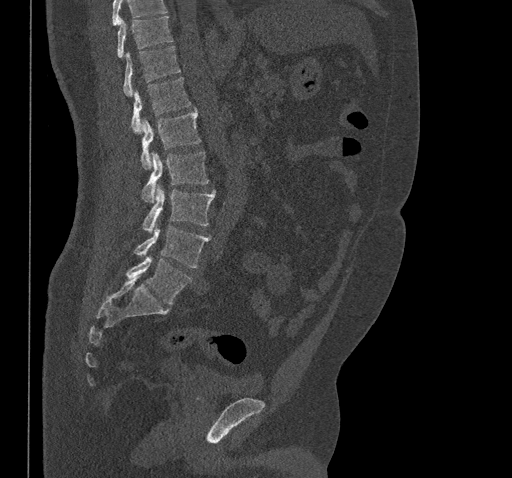

CT; sagittal view

Boxes below are [x1, y1, x2, y2] in pixels.
Vertebrae that run past the top of the scan are left unlabeled.
{"vertebrae":{"T10":[117,16,173,57],"T11":[123,46,181,96],"T12":[130,77,191,133],"L1":[141,108,200,168],"L2":[142,151,208,203],"L3":[143,186,216,231],"L4":[134,226,209,267],"L5":[127,257,192,305]}}